Spine computed tomography. sagittal view. 395 mm image width
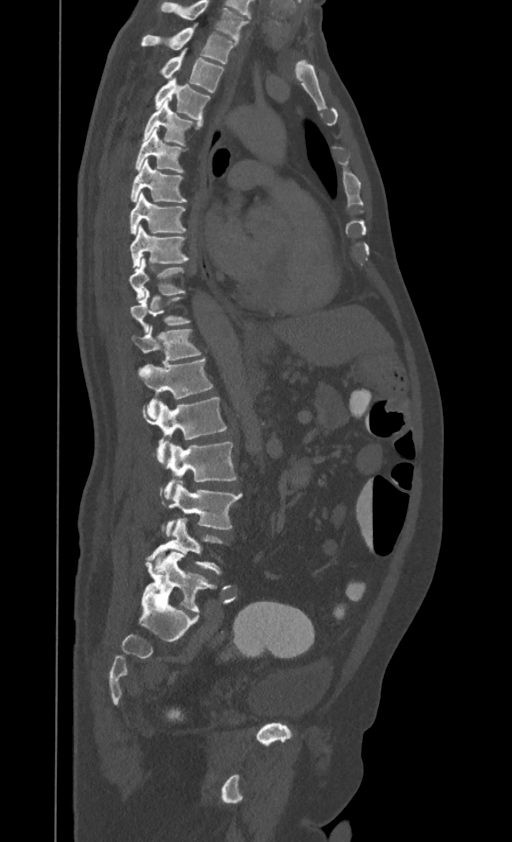

Each row gives a vertebra's box as x1, y1, x2, y2 in pixels: top-left corner, then bottom-right corner.
In this scan, the topmost labeled vertebra is T1 and the lowest is L4.
| vertebra | x1 | y1 | x2 | y2 |
|---|---|---|---|---|
| L4 | 148 | 518 | 224 | 573 |
| L3 | 166 | 481 | 243 | 536 |
| L2 | 164 | 442 | 236 | 499 |
| L1 | 144 | 397 | 227 | 464 |
| T12 | 139 | 358 | 213 | 419 |
| T11 | 132 | 325 | 201 | 371 |
| T10 | 131 | 289 | 189 | 331 |
| T9 | 129 | 257 | 186 | 302 |
| T8 | 129 | 225 | 188 | 268 |
| T7 | 129 | 192 | 186 | 233 |
| T6 | 131 | 160 | 187 | 202 |
| T5 | 135 | 128 | 186 | 173 |
| T4 | 144 | 99 | 201 | 145 |
| T3 | 154 | 78 | 210 | 121 |
| T2 | 158 | 50 | 223 | 92 |
| T1 | 141 | 27 | 236 | 63 |